CT, spine; sagittal view; 165 mm wide; bone-window reconstruction; 512x780 px
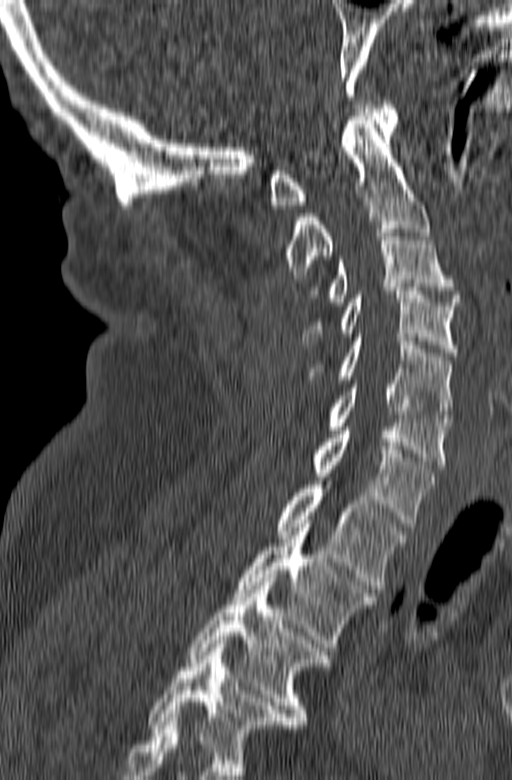
Box values are [left, top, right, bottom] in pixels.
The highest labeled vertebra in this scan is C1; the lowest is T3.
{"vertebrae":{"C1":[270,101,397,208],"C2":[286,116,430,278],"C3":[330,229,460,305],"C4":[301,287,458,356],"C5":[307,337,453,418],"C6":[330,380,451,468],"C7":[314,427,434,527],"T1":[276,481,405,592],"T2":[234,520,376,651],"T3":[186,578,329,728]}}